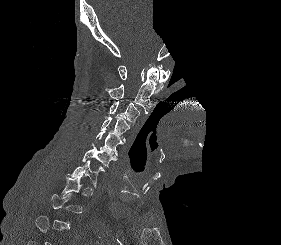

CT, spine — sagittal view — a portion of the image is blanked out (constant pixel value)
Boxes: x1:y1:x2:y2 in pixels. A vertebra gets a box only on the slices from the first to the last where its cross-section is at least a third of its largest; on a slice outside that range it gets none. 7 vertebrae labeled — C1 at 118:64:170:93; C2 at 106:67:158:113; C3 at 108:101:140:125; C4 at 101:115:129:142; C5 at 92:131:123:156; C6 at 82:147:117:167; C7 at 67:160:104:187.